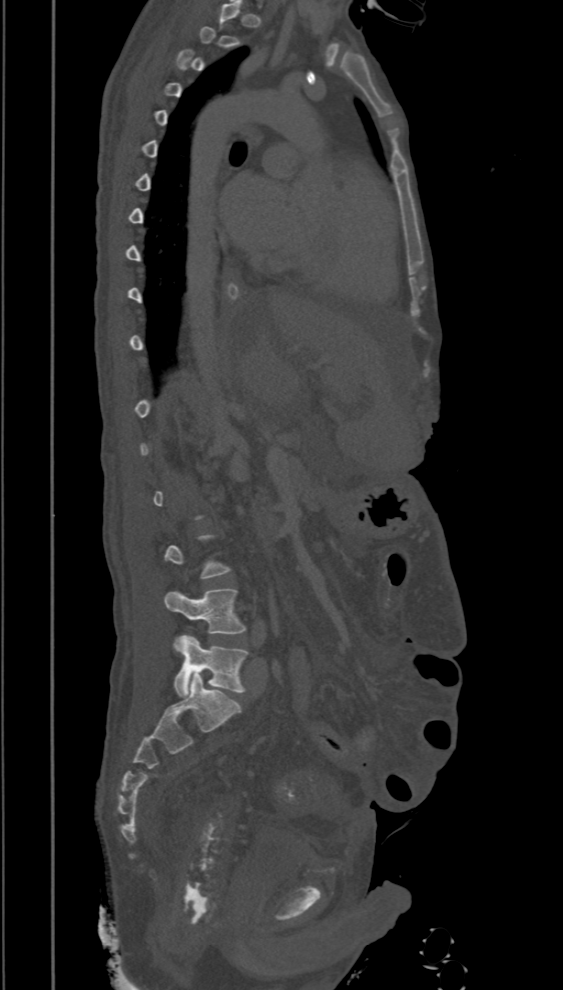
Spine computed tomography · sagittal view · W/L 1800/400 HU · 394 mm image width
Each box is [x1, y1, x2, y2] in pixels: top-left corner, then bottom-right corner.
Not every vertebra on this slice has a box: a vertebra is boxed only from the first to the last slice where its cross-section is at least a third of its largest, and this slice is outside that range for at least one of them.
{"vertebrae":{"L5":[171,634,250,696],"L4":[164,589,244,634]}}